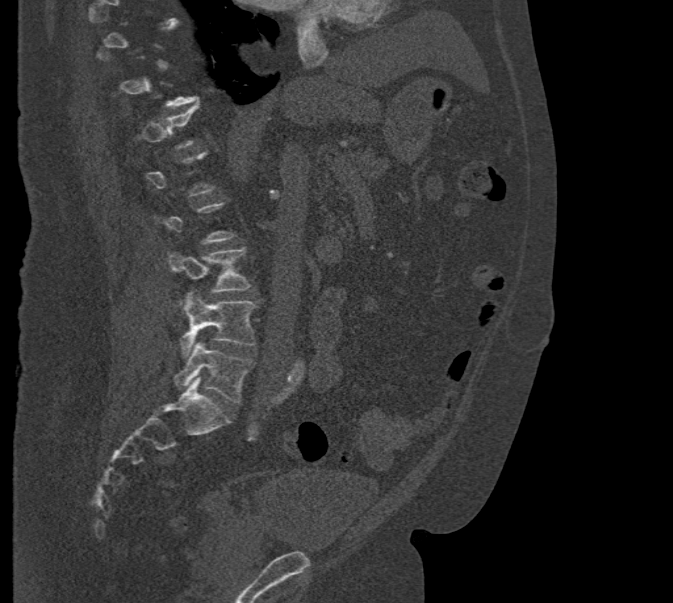
CT, spine · sagittal view · 673x603 px · 471 mm wide
A vertebra is boxed only from the first to the last slice where its cross-section is at least a third of its largest; slices outside that range leave it without a box.
<vertebrae><v name="L3" x1="167" y1="248" x2="250" y2="305"/><v name="L4" x1="180" y1="290" x2="257" y2="357"/><v name="L5" x1="175" y1="342" x2="253" y2="402"/></vertebrae>